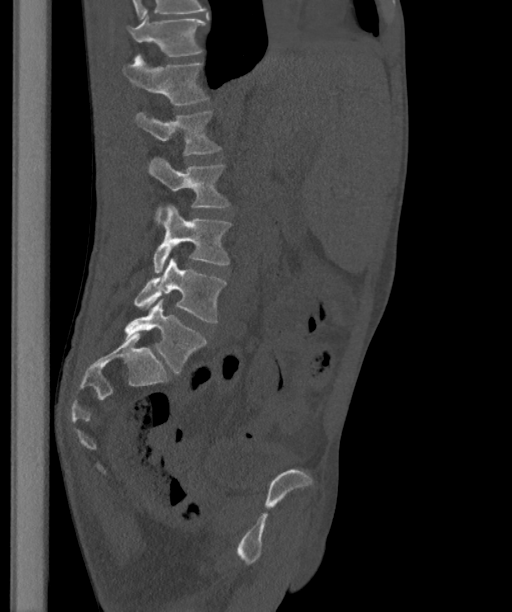
CT, spine. the image is 363 mm wide. sagittal reformat. 512x612 px

Boxes: x1 y1 x2 y2 (pixel coords, space-separated). In this scan, the topmost labeled vertebra is T12 and the lowest is L6. The labels name a sixth lumbar vertebra for this spine: L6, after L5. Vertebrae labeled: L6 at 124 298 206 372, L5 at 134 258 226 321, L4 at 153 204 230 273, L3 at 148 156 229 224, L2 at 134 112 220 155, L1 at 122 55 208 104, T12 at 127 15 206 56.